Spine computed tomography; sagittal plane, index 258
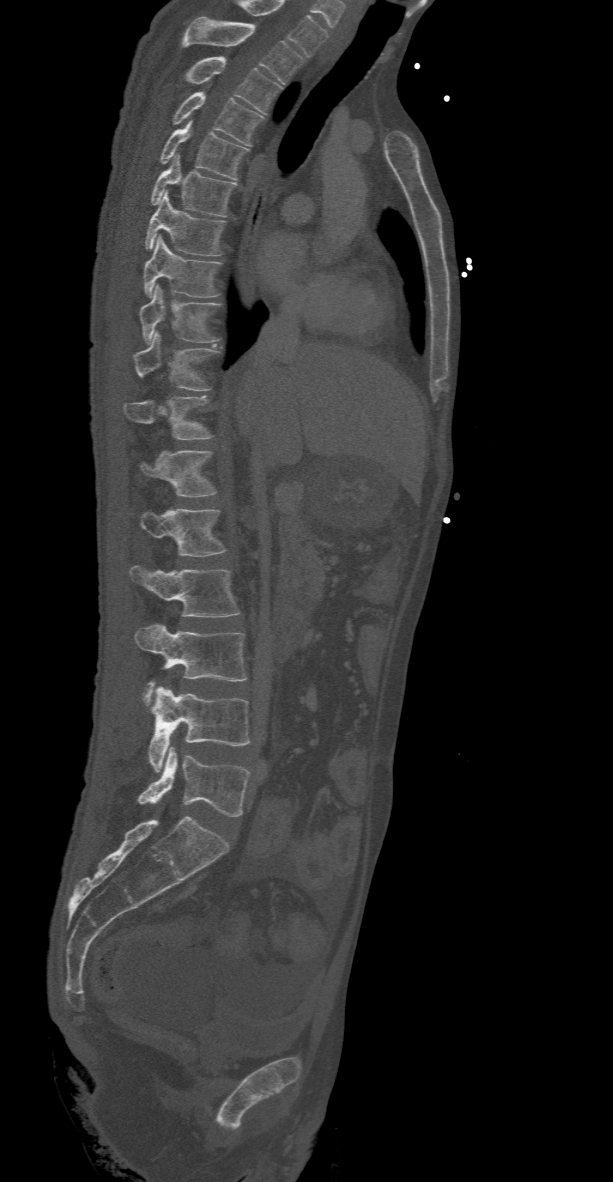

Boxes below are [x1, y1, x2, y2] in pixels.
This scan's labels start at T2 at the top and end at L5 at the bottom.
{"vertebrae":{"T2":[181,17,303,83],"T3":[184,56,282,113],"T4":[172,92,264,146],"T5":[159,120,248,180],"T6":[150,156,237,216],"T7":[145,192,225,256],"T8":[143,236,222,298],"T9":[140,284,222,343],"T10":[133,331,218,390],"T11":[123,396,213,440],"T12":[140,451,217,496],"L1":[140,509,227,556],"L2":[129,564,241,616],"L3":[134,622,247,703],"L4":[149,686,251,771],"L5":[137,747,248,816]}}